CT, spine · Sagittal slice 226/512 · bone-window reconstruction · 512x820 px · 400 mm wide · 18 vertebrae labeled in this scan
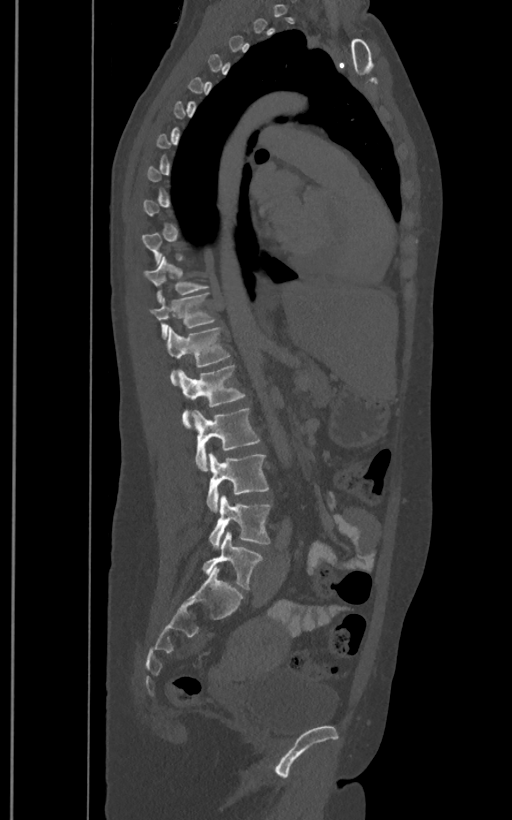
Coordinates as <box>x1,y1,x2,y2</box>. Not every vertebra on this slice has a box: a vertebra is boxed only from the first to the last slice where its cross-section is at least a third of its largest, and this slice is outside that range for at least one of them. These labels give the spine a sixth lumbar vertebra, L6, below L5. The labeled vertebrae in this slice are: L6 at <box>202,532,264,590</box>, L5 at <box>208,495,271,549</box>, L4 at <box>206,453,269,510</box>, L3 at <box>193,407,260,470</box>, L2 at <box>179,365,246,428</box>, L1 at <box>166,326,231,384</box>, T12 at <box>151,293,216,338</box>, T11 at <box>144,256,209,302</box>.